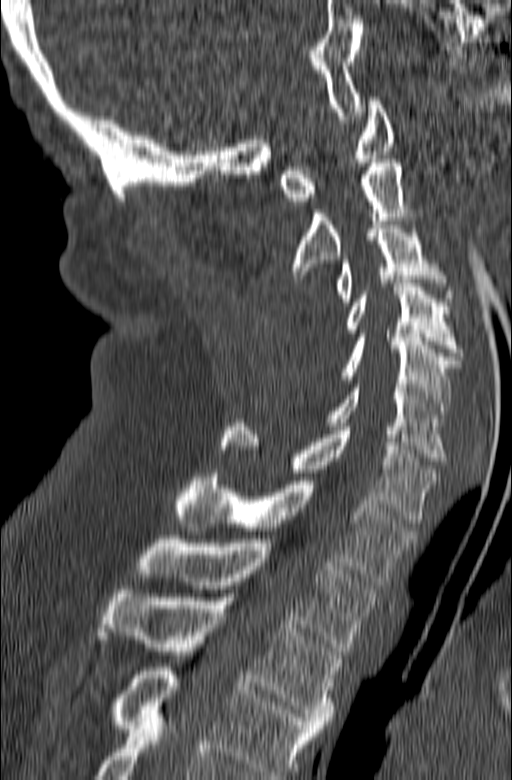
Computed tomography of the spine. sagittal view. W/L 1800/400 HU. 512x780 px. 165 mm wide. Each box given as x1,y1,x2,y2.
Labels in this scan begin with C1 at the top and end with T3 at the bottom.
Vertebra bounding boxes:
- T3: x1=96, y1=590, x2=341, y2=728
- T2: x1=137, y1=539, x2=379, y2=651
- T1: x1=174, y1=473, x2=416, y2=585
- C7: x1=221, y1=423, x2=439, y2=523
- C6: x1=327, y1=384, x2=447, y2=461
- C5: x1=342, y1=334, x2=459, y2=418
- C4: x1=345, y1=283, x2=461, y2=356
- C3: x1=336, y1=225, x2=453, y2=305
- C2: x1=290, y1=159, x2=413, y2=278
- C1: x1=280, y1=97, x2=394, y2=201